Computed tomography of the spine; sagittal plane, index 249; Bone window (WL 400, WW 1800)
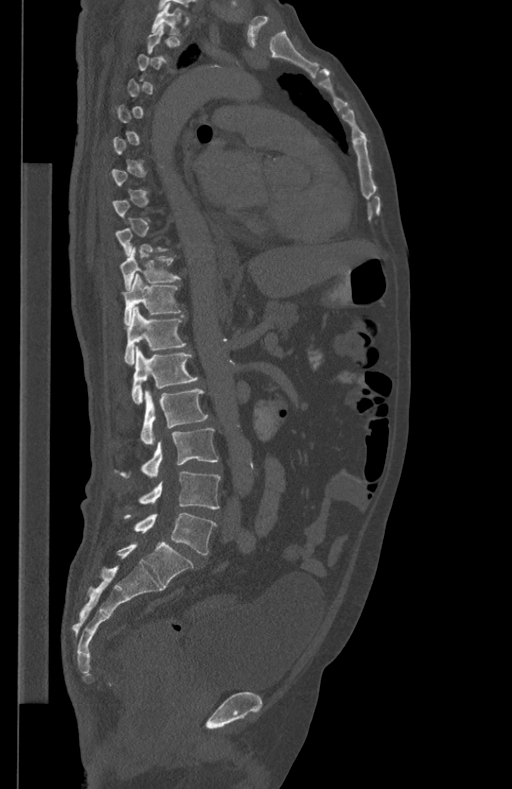
Boxes: x1:y1:x2:y2 in pixels.
A vertebra gets a box only on the slices from the first to the last where its cross-section is at least a third of its largest; on a slice outside that range it gets none.
T1: 151:3:181:34
T10: 120:247:181:291
T11: 123:273:182:325
T12: 124:307:185:364
L1: 132:346:198:404
L2: 140:389:208:445
L3: 119:428:218:478
L4: 138:471:221:509
L5: 125:513:216:554